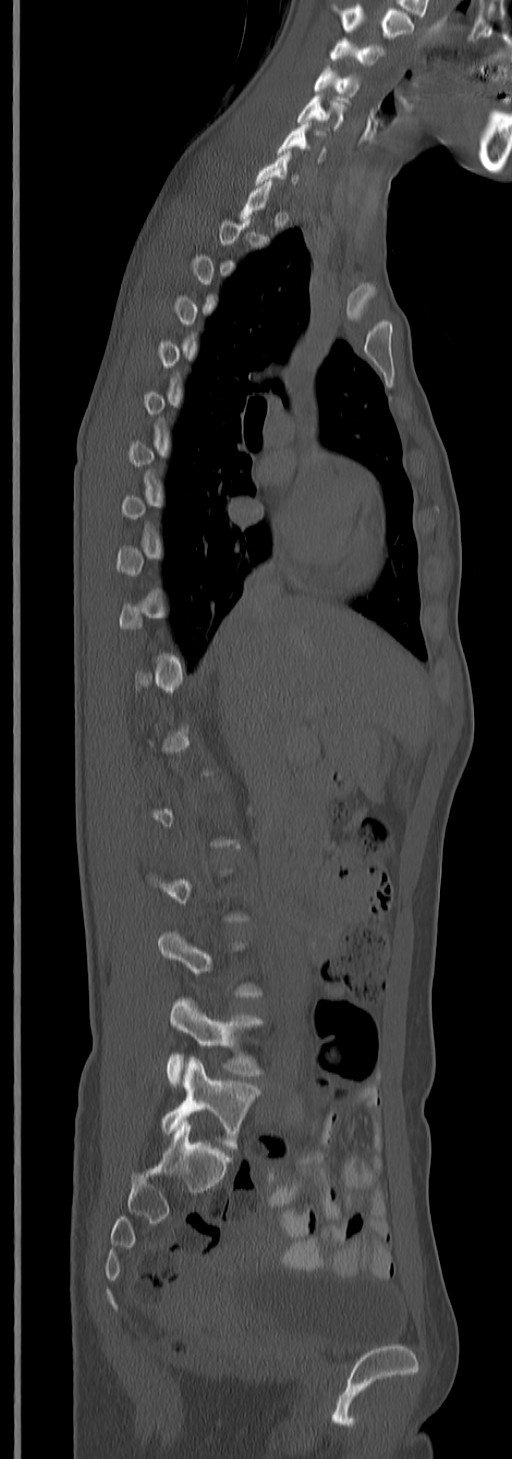
CT spine. sagittal view. 245 mm image width
A vertebra is boxed only from the first to the last slice where its cross-section is at least a third of its largest; slices outside that range leave it without a box.
This scan's labels start at C3 at the top and end at L5 at the bottom.
<vertebrae><v name="C3" x1="331" y1="38" x2="384" y2="64"/><v name="C4" x1="314" y1="67" x2="359" y2="96"/><v name="C5" x1="297" y1="95" x2="344" y2="129"/><v name="C6" x1="276" y1="124" x2="326" y2="160"/><v name="C7" x1="256" y1="151" x2="300" y2="186"/><v name="L4" x1="166" y1="998" x2="263" y2="1086"/><v name="L5" x1="161" y1="1056" x2="261" y2="1149"/></vertebrae>